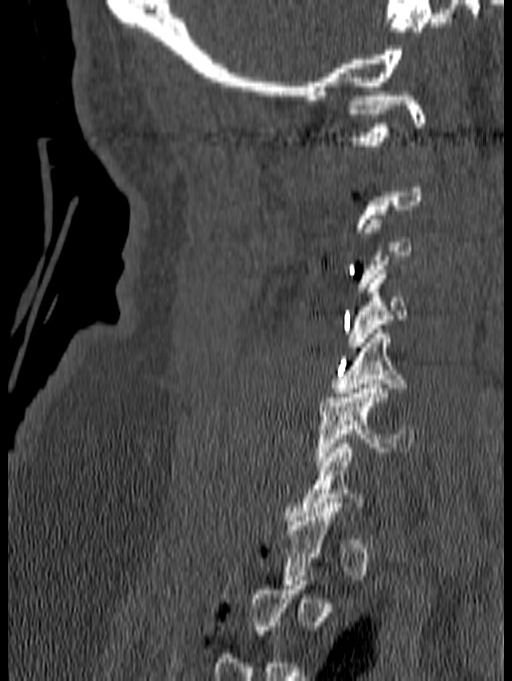 Spine CT — sagittal view — 512x681 px. Coordinates as <box>x1,y1,x2,y2</box>.
Each vertebra is boxed only on the slices from the first to the last where its cross-section reaches a third of its largest, so a slice outside that range leaves it unboxed.
C1: <box>347,91,425,145</box>
C5: <box>329,329,407,401</box>
C6: <box>315,384,415,465</box>